Spine computed tomography; sagittal view; 16 vertebrae labeled in this scan
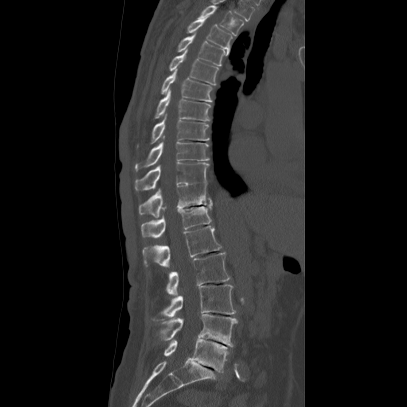

Boxes: x1 y1 x2 y2 (pixel coords, space-separated).
L5: 163 338 227 372
L4: 154 314 236 347
L3: 154 284 235 320
L2: 166 252 229 296
L1: 142 226 221 267
T12: 140 205 212 239
T11: 138 184 213 217
T10: 133 161 208 191
T9: 134 140 208 169
T8: 151 112 208 142
T7: 154 87 210 121
T6: 160 68 211 101
T5: 169 48 218 85
T4: 177 32 225 65
T3: 187 17 232 55
T2: 197 5 243 35